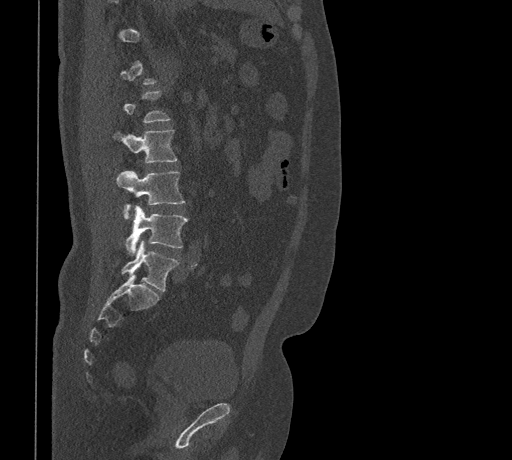 Computed tomography of the spine. the image is 461 mm wide. sagittal view

Each vertebra maps to its box as [x1, y1, x2, y2], the pixel coordinates of its top-left and bottom-right corners.
A vertebra is boxed only from the first to the last slice where its cross-section is at least a third of its largest; slices outside that range leave it without a box.
{"vertebrae":{"L2":[113,130,176,162],"L3":[117,170,184,219],"L4":[125,206,188,254],"L5":[121,240,179,291]}}